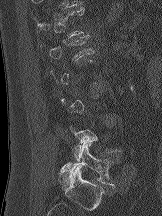
Spine CT · sagittal view · 162x216 px · the image is 162 mm wide
Each box given as x1,y1,x2,y2.
Not every vertebra on this slice has a box: a vertebra is boxed only from the first to the last slice where its cross-section is at least a third of its largest, and this slice is outside that range for at least one of them.
Vertebra bounding boxes:
- L1: x1=41, y1=35, x2=94, y2=61
- L5: x1=59, y1=143, x2=114, y2=190